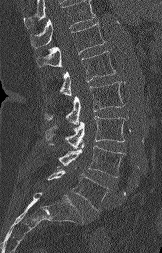
CT — sagittal view. Boxes are (x1, y1, x2, y2) in pixels.
No box is given to a vertebra that the top edge of the scan cuts off.
Vertebra bounding boxes:
- T12: (36, 19, 105, 68)
- L1: (60, 51, 115, 96)
- L2: (44, 81, 124, 124)
- L3: (45, 116, 125, 148)
- L4: (59, 143, 125, 177)
- L5: (48, 166, 108, 210)